CT. sagittal view. 512x744 px. scan covers 17 annotated vertebrae
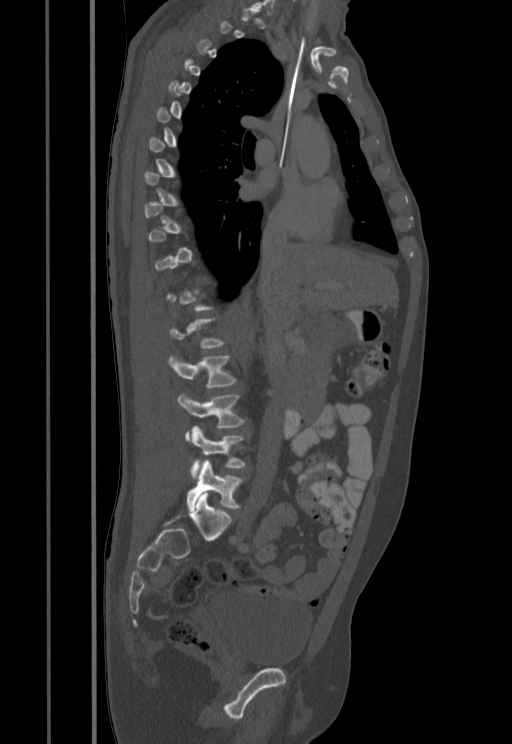 Boxes below are [x1, y1, x2, y2] in pixels.
A vertebra is boxed only from the first to the last slice where its cross-section is at least a third of its largest; slices outside that range leave it without a box.
{"vertebrae":{"L2":[168,356,236,387],"L3":[177,392,244,441],"L4":[190,426,245,479],"L5":[187,460,243,511]}}